CT spine. image 162 mm wide. sagittal plane, index 309
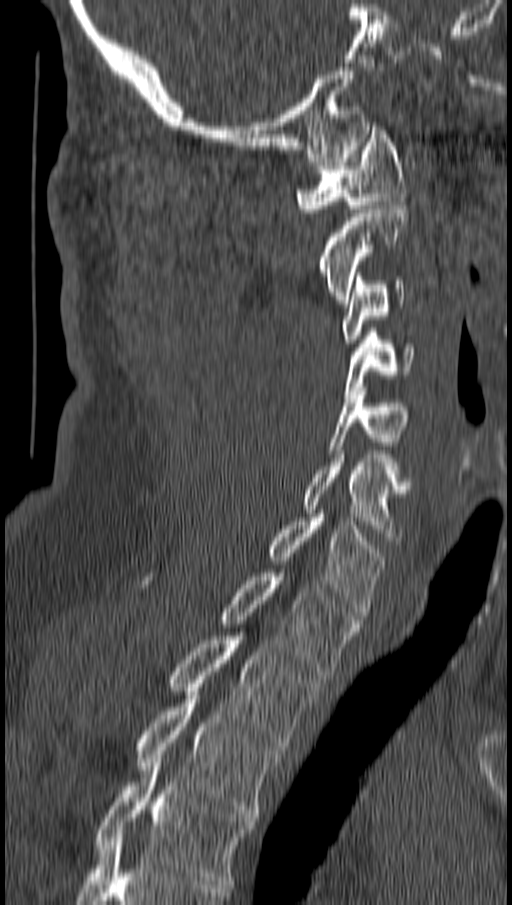

Each row gives a vertebra's box as x1, y1, x2, y2 in pixels: top-left corner, then bottom-right corner.
| vertebra | x1 | y1 | x2 | y2 |
|---|---|---|---|---|
| T4 | 96 | 759 | 253 | 888 |
| T3 | 137 | 691 | 281 | 817 |
| T2 | 169 | 632 | 319 | 750 |
| T1 | 219 | 573 | 360 | 675 |
| C7 | 267 | 514 | 386 | 615 |
| C6 | 304 | 454 | 409 | 544 |
| C5 | 327 | 387 | 408 | 453 |
| C4 | 346 | 328 | 413 | 398 |
| C3 | 342 | 277 | 405 | 343 |
| C2 | 317 | 201 | 408 | 307 |
| C1 | 295 | 122 | 405 | 216 |